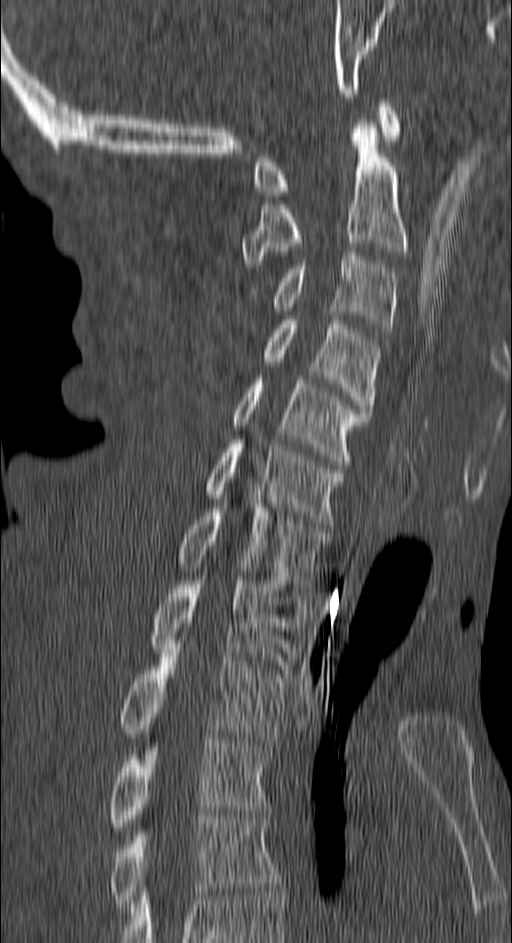 CT spine; sagittal view; 512x943 px
Box values are [left, top, right, bottom] in pixels.
{"vertebrae":{"C1":[254,98,400,195],"C2":[240,119,406,268],"C3":[274,252,396,332],"C4":[264,320,379,413],"C5":[233,375,368,464],"C6":[206,439,345,524],"C7":[179,508,328,588],"T1":[151,576,303,669],"T2":[121,644,288,746],"T3":[110,738,270,831],"T4":[110,815,280,908]}}